CT. sagittal reformat. W/L 1800/400 HU. 673x603 px
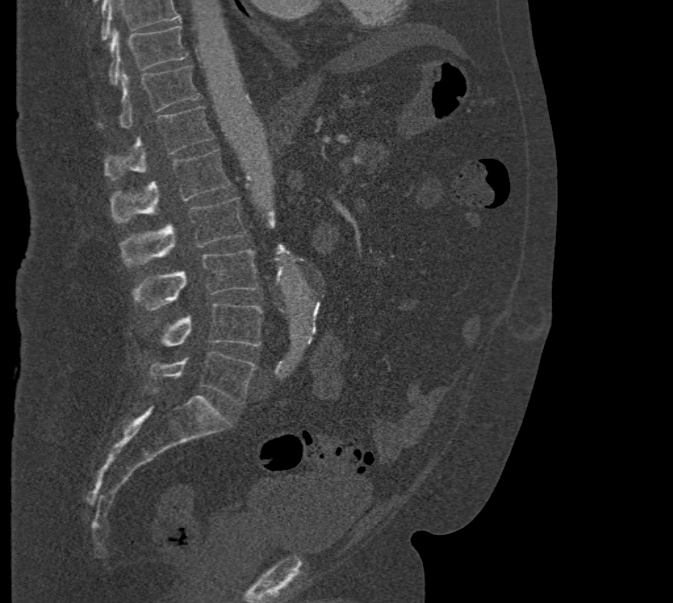 Boxes: x1 y1 x2 y2 (pixel coords, space-separated).
A vertebra cut off by the top edge of the scan is not labeled and has no box.
Vertebra bounding boxes:
- T10: 109 26 187 84
- T11: 120 65 200 128
- T12: 104 106 213 181
- L1: 110 149 230 222
- L2: 120 198 246 265
- L3: 133 249 258 309
- L4: 147 303 262 347
- L5: 148 352 257 404